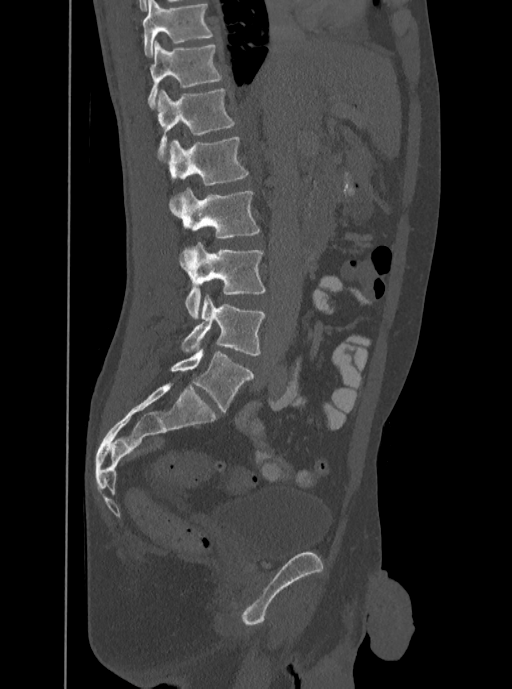

Computed tomography of the spine. sagittal view. W/L 1800/400 HU. 512x689 px
Boxes: x1:y1:x2:y2 in pixels.
This scan's labels start at T12 at the top and end at L5 at the bottom.
Vertebra bounding boxes:
- L5: 181:295:265:356
- L4: 179:242:265:319
- L3: 169:187:259:237
- L2: 168:137:249:185
- L1: 156:88:236:160
- T12: 148:41:221:108